CT, spine. sagittal reformat. scan covers 7 annotated vertebrae. 333 mm across the image
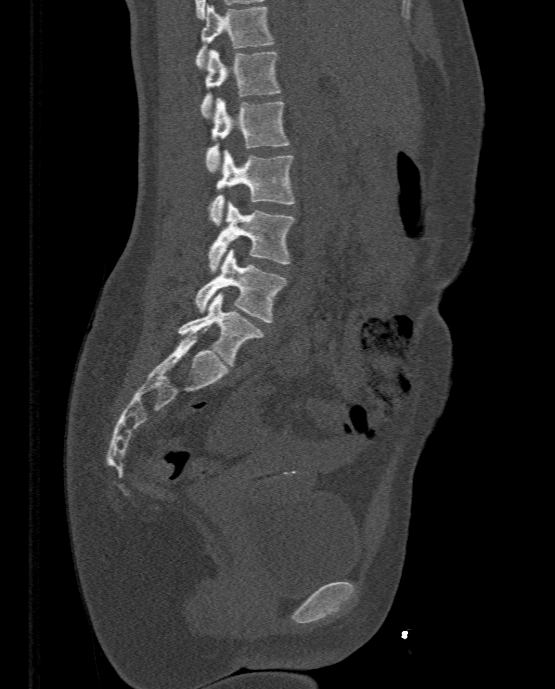 Box edges are left/top/right/bottom in pixels.
L5: left=178, top=292, right=262, bottom=365
L4: left=194, top=248, right=287, bottom=322
L3: left=208, top=202, right=294, bottom=272
L2: left=208, top=149, right=295, bottom=225
L1: left=205, top=98, right=288, bottom=173
T12: left=201, top=49, right=281, bottom=117
T11: left=195, top=4, right=273, bottom=68